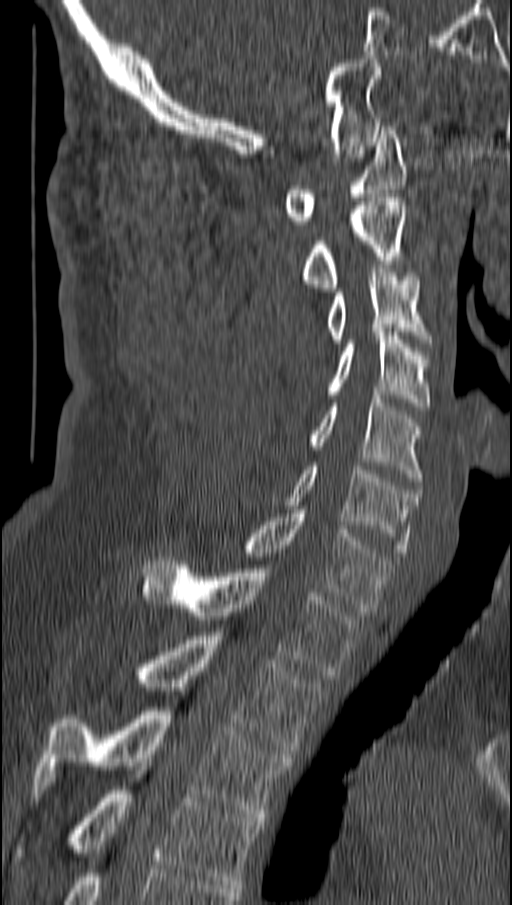
CT — sagittal view

Coordinates as <box>x1,y1,x2,y2</box>.
C1: <box>282,126,405,224</box>
C2: <box>301,198,405,291</box>
C3: <box>327,269,430,343</box>
C4: <box>327,332,430,410</box>
C5: <box>308,395,420,481</box>
C6: <box>286,466,420,552</box>
C7: <box>241,510,392,611</box>
T1: <box>140,557,357,679</box>
T2: <box>134,632,319,754</box>
T3: <box>36,707,291,817</box>
T4: <box>14,786,259,888</box>